Spine CT · sagittal reformat
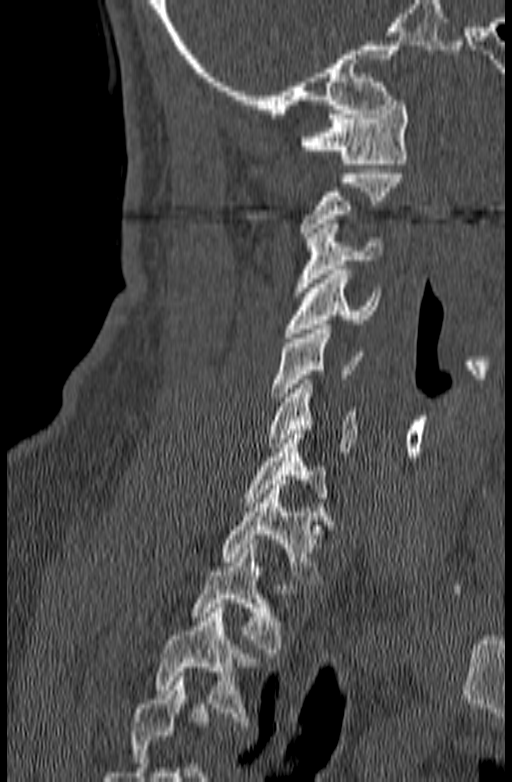
Boxes: x1:y1:x2:y2 in pixels.
Where the bottom of the scan cuts through a vertebra, that vertebra gets no label or box.
C1: 300:101:409:168
C2: 299:169:403:241
C3: 293:224:381:296
C4: 284:270:381:337
C5: 271:325:363:401
C6: 267:379:357:452
C7: 243:430:326:506
T1: 221:485:333:584
T2: 190:544:289:657
T3: 155:603:258:726